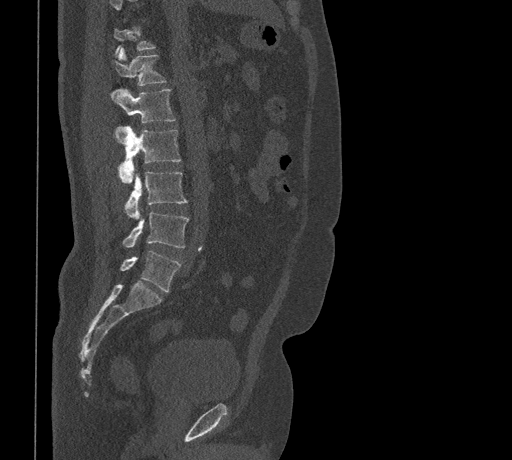

CT, spine — sagittal view

Each vertebra is boxed only on the slices from the first to the last where its cross-section reaches a third of its largest, so a slice outside that range leaves it unboxed.
<vertebrae><v name="T12" x1="112" y1="48" x2="166" y2="86"/><v name="L1" x1="110" y1="88" x2="175" y2="128"/><v name="L2" x1="117" y1="126" x2="181" y2="182"/><v name="L3" x1="125" y1="171" x2="186" y2="219"/><v name="L4" x1="122" y1="210" x2="189" y2="247"/><v name="L5" x1="120" y1="251" x2="181" y2="291"/></vertebrae>